Spine CT. sagittal reformat. 512x659 px
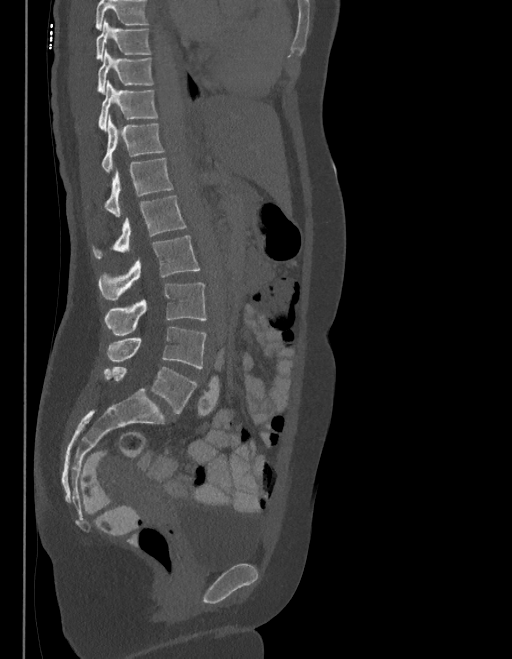
Bounding boxes as [x1, y1, x2, y2] in pixel coordinates.
No box is given to a vertebra that the top edge of the scan cuts off.
These labels give the spine a sixth lumbar vertebra, L6, below L5.
Vertebra bounding boxes:
- T9: [96, 19, 150, 60]
- T10: [98, 50, 153, 94]
- T11: [98, 81, 156, 130]
- T12: [102, 115, 163, 173]
- L1: [104, 158, 173, 217]
- L2: [93, 196, 186, 257]
- L3: [99, 236, 200, 300]
- L4: [104, 282, 206, 335]
- L5: [108, 327, 206, 368]
- L6: [104, 367, 197, 414]